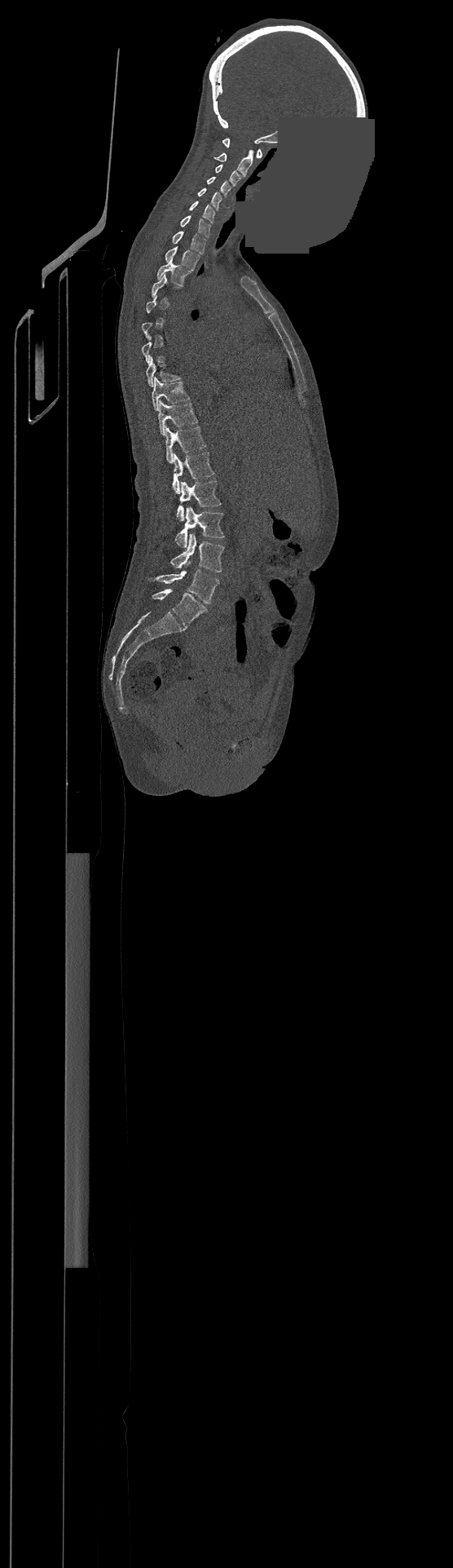

Spine CT — sagittal view — an area of the scan was removed and filled with constant pixels

Not every vertebra on this slice has a box: a vertebra is boxed only from the first to the last slice where its cross-section is at least a third of its largest, and this slice is outside that range for at least one of them.
This scan's labels start at C1 at the top and end at L4 at the bottom.
<vertebrae><v name="C1" x1="222" y1="138" x2="262" y2="157"/><v name="C2" x1="215" y1="150" x2="253" y2="176"/><v name="C3" x1="216" y1="165" x2="241" y2="186"/><v name="C4" x1="206" y1="176" x2="231" y2="197"/><v name="C5" x1="197" y1="188" x2="222" y2="209"/><v name="C6" x1="189" y1="201" x2="215" y2="223"/><v name="C7" x1="180" y1="215" x2="210" y2="237"/><v name="T1" x1="173" y1="232" x2="206" y2="254"/><v name="T2" x1="165" y1="246" x2="199" y2="270"/><v name="T3" x1="156" y1="258" x2="190" y2="285"/><v name="T8" x1="146" y1="356" x2="180" y2="386"/><v name="T9" x1="152" y1="378" x2="189" y2="410"/><v name="T10" x1="158" y1="400" x2="197" y2="435"/><v name="T11" x1="165" y1="426" x2="205" y2="463"/><v name="T12" x1="173" y1="452" x2="214" y2="492"/><v name="L1" x1="177" y1="481" x2="221" y2="521"/><v name="L2" x1="175" y1="507" x2="224" y2="547"/><v name="L3" x1="169" y1="533" x2="224" y2="572"/><v name="L4" x1="154" y1="562" x2="219" y2="603"/></vertebrae>